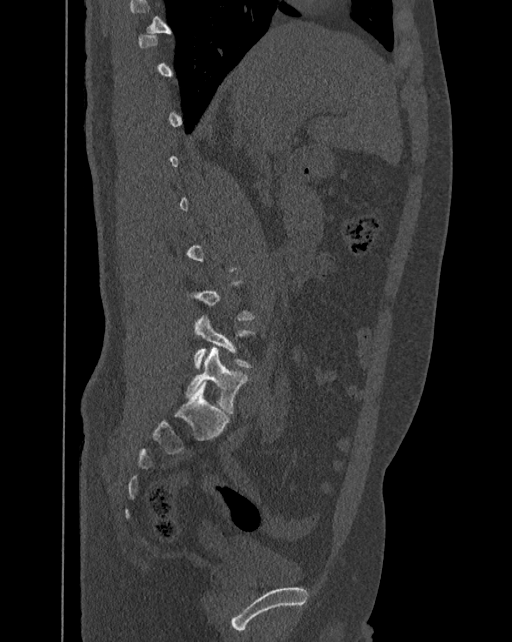

CT, spine. sagittal view
Boxes: x1 y1 x2 y2 (pixel coords, space-separated).
Not every vertebra on this slice has a box: a vertebra is boxed only from the first to the last slice where its cross-section is at least a third of its largest, and this slice is outside that range for at least one of them.
In these labels the spine has an L6, a sixth lumbar vertebra below L5.
L5: 193 315 252 368
L6: 185 347 247 413